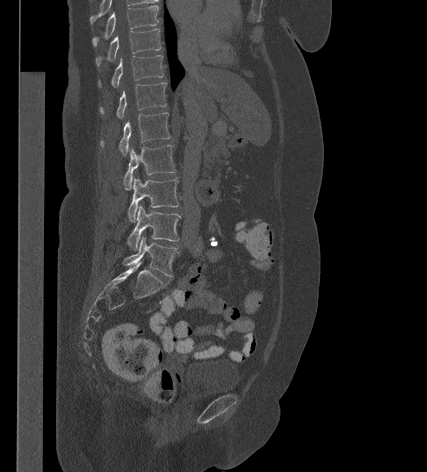
Spine computed tomography; sagittal view; 427x472 px; the image is 427 mm wide

Box edges are left/top/right/bottom in pixels.
Vertebra bounding boxes:
- T9: left=93, top=5, right=158, bottom=45
- T10: left=96, top=29, right=161, bottom=65
- T11: left=99, top=55, right=163, bottom=87
- T12: left=100, top=82, right=166, bottom=119
- L1: left=101, top=112, right=170, bottom=155
- L2: left=123, top=145, right=175, bottom=189
- L3: left=128, top=178, right=178, bottom=221
- L4: left=127, top=205, right=180, bottom=250
- L5: left=123, top=236, right=178, bottom=276